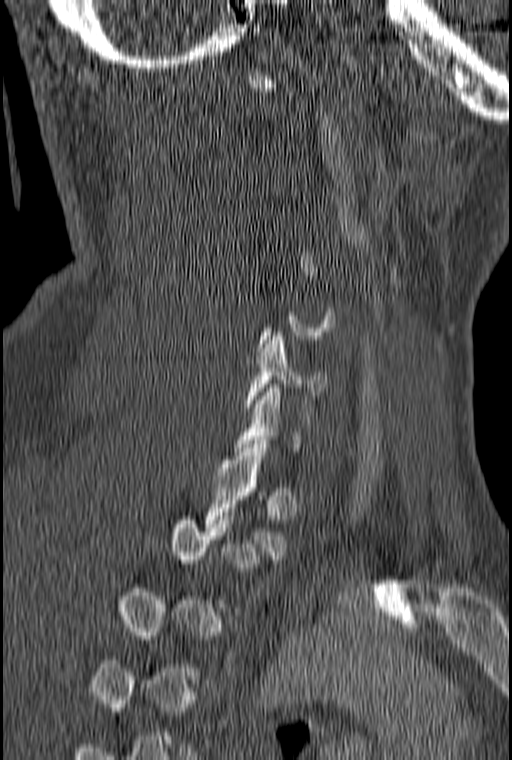
CT, spine · sagittal reformat

Box values are [left, top, right, bottom] in pixels.
Each vertebra is boxed only on the slices from the first to the last where its cross-section reaches a third of its largest, so a slice outside that range leaves it unboxed.
{"vertebrae":{"C6":[245,332,330,411],"T1":[203,444,286,559]}}